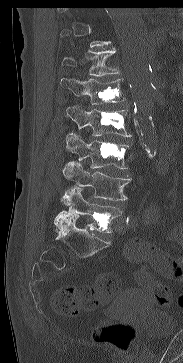
CT spine. sagittal view. 183x363 px. the image is 183 mm wide

Boxes: x1 y1 x2 y2 (pixel coords, space-separated). A vertebra gets a box only on the slices from the first to the last where its cross-section is at least a third of its largest; on a slice outside that range it gets none. 6 vertebrae labeled — L5 at 54 185 122 232; L4 at 62 161 131 200; L3 at 65 133 129 168; L2 at 66 105 131 136; L1 at 60 78 125 104; T12 at 61 47 120 76.